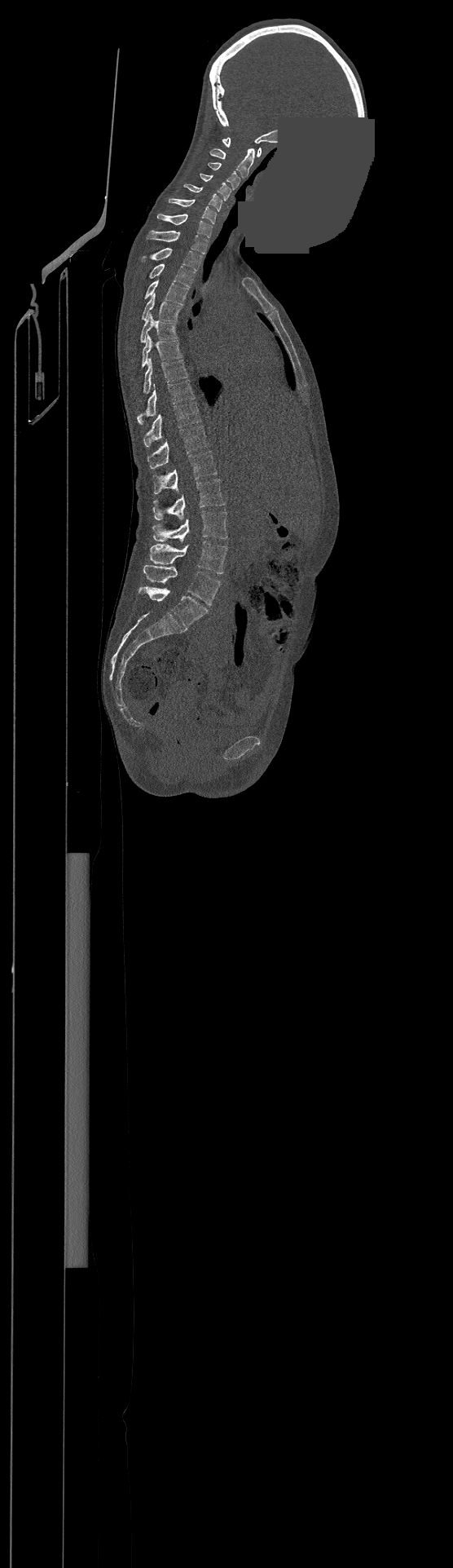 Spine computed tomography. sagittal view. 453x1568 px. 500 mm wide. a region of this slice is masked with a uniform fill
Box edges are left/top/right/bottom in pixels.
In this scan, the topmost labeled vertebra is C1 and the lowest is L4.
| vertebra | x1 | y1 | x2 | y2 |
|---|---|---|---|---|
| C1 | 222 | 138 | 261 | 157 |
| C2 | 210 | 148 | 255 | 178 |
| C3 | 207 | 162 | 240 | 189 |
| C4 | 200 | 174 | 231 | 200 |
| C5 | 184 | 183 | 222 | 211 |
| C6 | 168 | 198 | 217 | 223 |
| C7 | 157 | 214 | 213 | 237 |
| T1 | 147 | 230 | 208 | 254 |
| T2 | 142 | 248 | 201 | 271 |
| T3 | 149 | 263 | 195 | 287 |
| T4 | 145 | 280 | 187 | 304 |
| T5 | 142 | 294 | 182 | 320 |
| T6 | 141 | 313 | 177 | 342 |
| T7 | 142 | 335 | 183 | 368 |
| T8 | 143 | 358 | 187 | 393 |
| T9 | 138 | 380 | 195 | 424 |
| T10 | 144 | 402 | 200 | 447 |
| T11 | 147 | 426 | 209 | 468 |
| T12 | 153 | 451 | 217 | 493 |
| L1 | 153 | 479 | 225 | 519 |
| L2 | 153 | 510 | 227 | 541 |
| L3 | 149 | 541 | 226 | 573 |
| L4 | 143 | 565 | 221 | 605 |